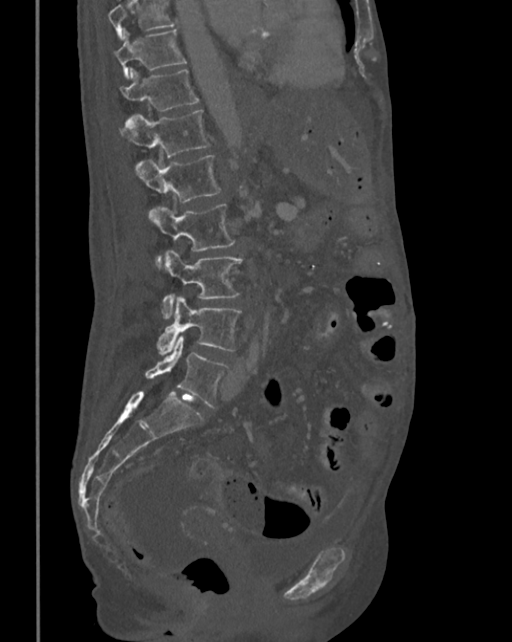
CT, spine — sagittal view

Columns x1, y1, x2, y2 give each box's top-left and bottom-right pixels.
A vertebra cut off by the top edge of the scan is not labeled and has no box.
| vertebra | x1 | y1 | x2 | y2 |
|---|---|---|---|---|
| T10 | 114 | 29 | 186 | 79 |
| T11 | 119 | 68 | 199 | 123 |
| T12 | 120 | 110 | 210 | 169 |
| L1 | 136 | 155 | 220 | 221 |
| L2 | 151 | 204 | 235 | 263 |
| L3 | 161 | 250 | 243 | 319 |
| L4 | 157 | 297 | 241 | 354 |
| L5 | 145 | 335 | 229 | 408 |